CT, spine. Sagittal slice 313/512. 10 vertebrae labeled in this scan
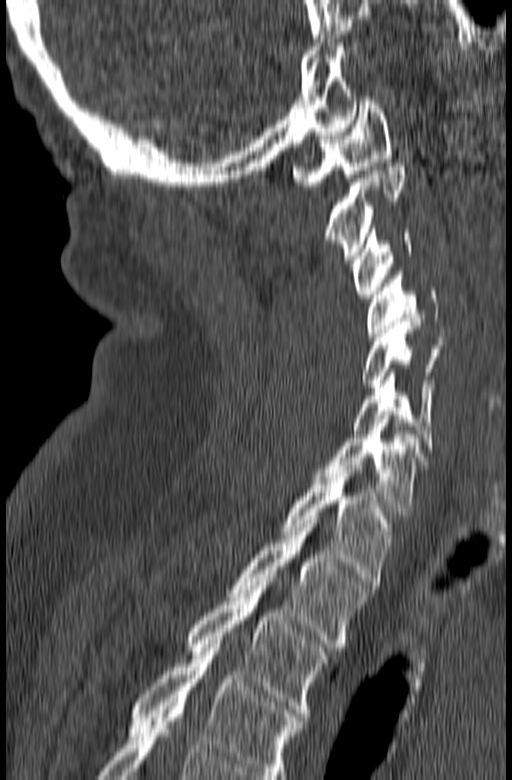
Box edges are left/top/right/bottom in pixels.
In this scan, the topmost labeled vertebra is C1 and the lowest is T3.
Vertebra bounding boxes:
- C1: left=292, top=97, right=391, bottom=189
- C2: left=324, top=163, right=407, bottom=259
- C3: left=352, top=225, right=412, bottom=298
- C4: left=367, top=272, right=438, bottom=336
- C5: left=361, top=318, right=441, bottom=391
- C6: left=352, top=372, right=434, bottom=449
- C7: left=314, top=415, right=425, bottom=515
- T1: left=280, top=465, right=393, bottom=581
- T2: left=228, top=520, right=369, bottom=647
- T3: left=187, top=582, right=329, bottom=717